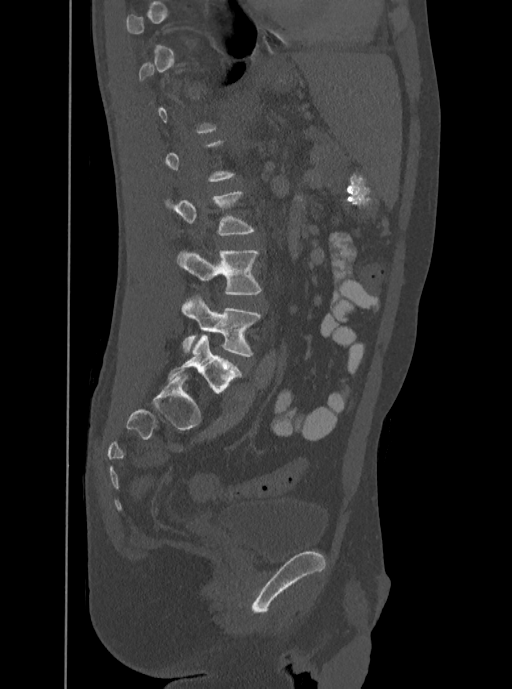

CT, spine; sagittal view; 512x689 px
Each box given as x1,y1,x2,y2.
Each vertebra is boxed only on the slices from the first to the last where its cross-section reaches a third of its largest, so a slice outside that range leaves it unboxed.
L3: x1=164, y1=190, x2=255, y2=236
L4: x1=176, y1=249, x2=262, y2=294
L5: x1=181, y1=295, x2=261, y2=356